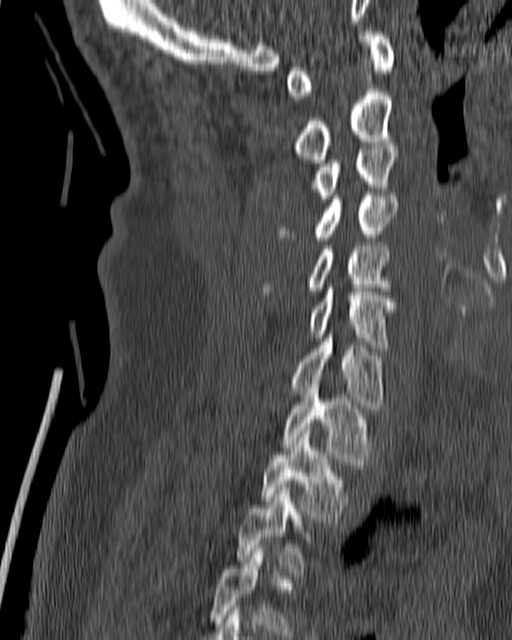
Computed tomography of the spine — sagittal view — bone window

Bounding boxes as [x1, y1, x2, y2] in pixel coordinates. Not every vertebra on this slice has a box: a vertebra is boxed only from the first to the last slice where its cross-section is at least a third of its largest, and this slice is outside that range for at least one of them. 10 vertebrae labeled — C1 at [285, 32, 395, 99]; C2 at [294, 92, 392, 163]; C3 at [311, 146, 398, 202]; C4 at [280, 192, 398, 241]; C5 at [260, 245, 390, 294]; C6 at [308, 284, 395, 347]; C7 at [291, 334, 384, 408]; T1 at [283, 384, 370, 465]; T2 at [260, 430, 347, 522]; T3 at [237, 484, 310, 575].